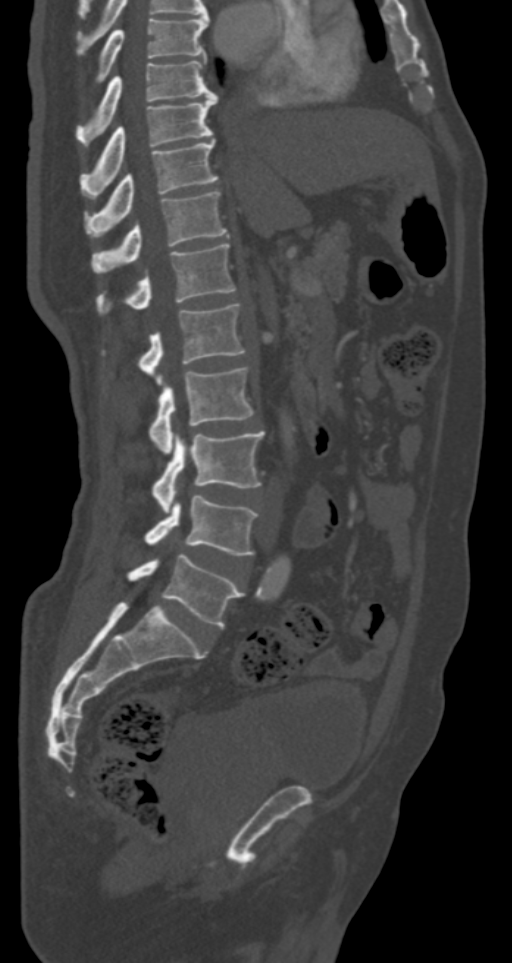
CT — image 287 mm wide — sagittal view — bone-window reconstruction — 512x963 px
Box values are [left, top, right, bottom] in pixels.
{"vertebrae":{"T7":[94,17,209,84],"T8":[76,60,218,145],"T9":[82,94,218,191],"T10":[85,139,218,236],"T11":[92,191,227,271],"T12":[96,244,236,312],"L1":[139,303,245,384],"L2":[149,367,254,454],"L3":[153,431,264,512],"L4":[144,496,257,555],"L5":[128,554,243,627]}}